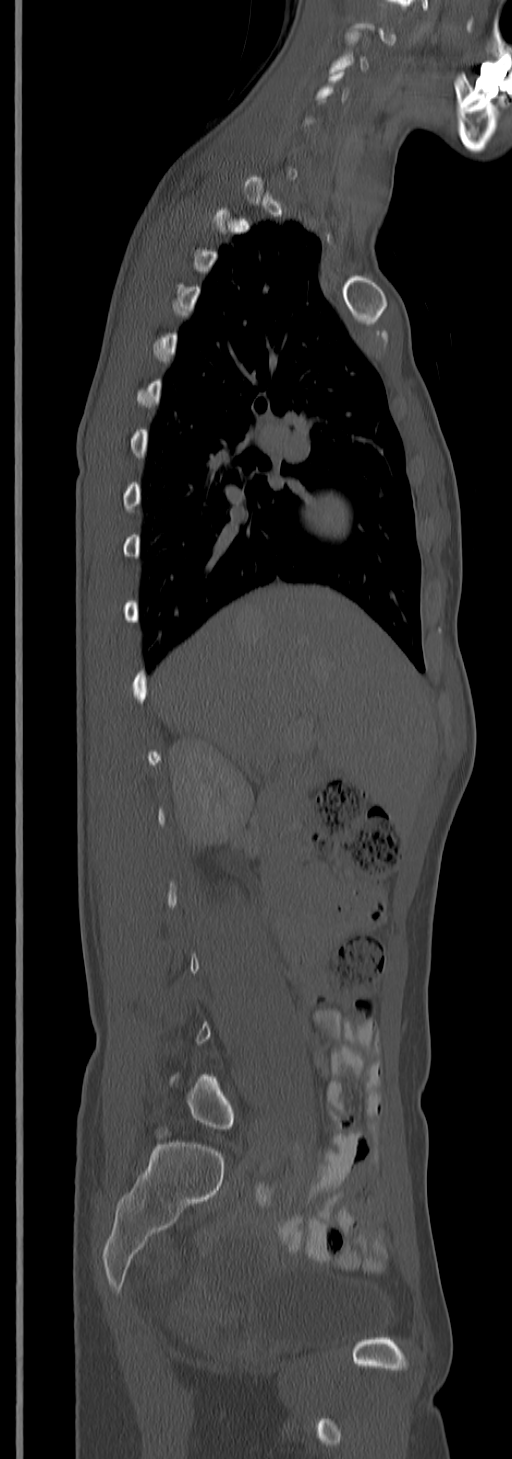
CT · sagittal view
Box edges are left/top/right/bottom in pixels. Not every vertebra on this slice has a box: a vertebra is boxed only from the first to the last slice where its cross-section is at least a third of its largest, and this slice is outside that range for at least one of them. In this scan, the topmost labeled vertebra is C3 and the lowest is L5. The labeled vertebrae in this slice are: C3 at left=331, top=31, right=367, bottom=72, L5 at left=170, top=1075, right=234, bottom=1129.